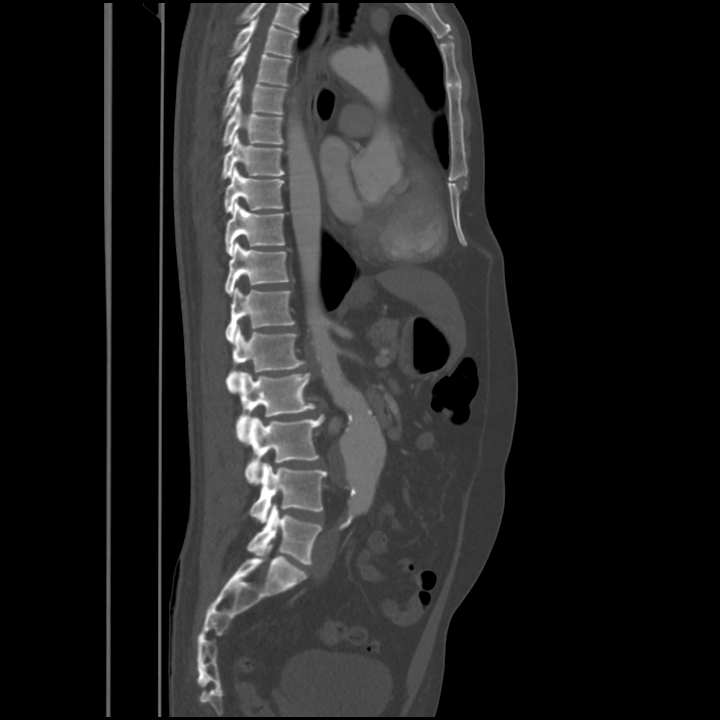

CT, spine · 563 mm image width · sagittal view
Each box is [x1, y1, x2, y2] in pixels: top-left corner, then bottom-right corner.
Labels in this scan begin with T4 at the top and end with L5 at the bottom.
{"vertebrae":{"T4":[229,17,297,57],"T5":[225,45,291,86],"T6":[223,75,286,118],"T7":[223,102,283,146],"T8":[221,134,284,179],"T9":[224,168,284,212],"T10":[225,202,284,256],"T11":[225,242,288,295],"T12":[225,288,295,343],"L1":[227,326,306,393],"L2":[235,371,315,442],"L3":[245,415,324,484],"L4":[250,463,327,522],"L5":[247,504,321,564]}}